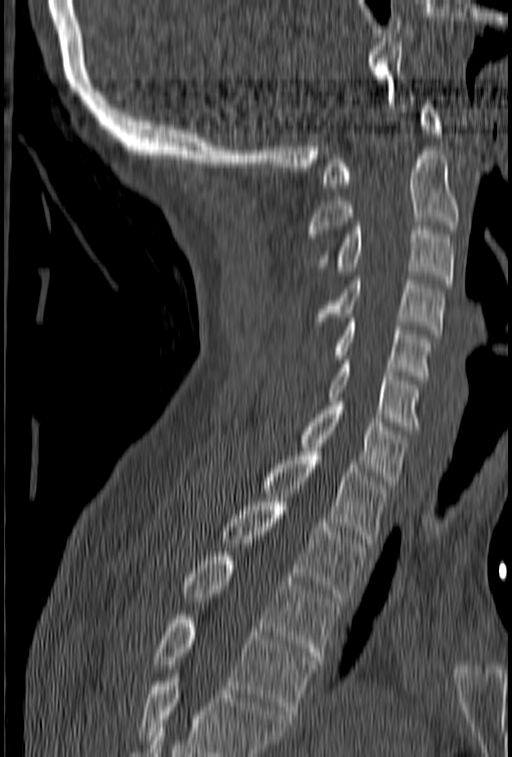 Spine computed tomography. sagittal view

No box is given to a vertebra that the bottom edge of the scan cuts off.
<vertebrae><v name="C1" x1="322" y1="105" x2="442" y2="187"/><v name="C2" x1="305" y1="151" x2="459" y2="237"/><v name="C3" x1="317" y1="226" x2="454" y2="283"/><v name="C4" x1="313" y1="276" x2="445" y2="334"/><v name="C5" x1="336" y1="314" x2="432" y2="380"/><v name="C6" x1="327" y1="360" x2="419" y2="430"/><v name="C7" x1="300" y1="397" x2="408" y2="488"/><v name="T1" x1="262" y1="452" x2="386" y2="543"/><v name="T2" x1="222" y1="498" x2="367" y2="597"/><v name="T3" x1="185" y1="552" x2="338" y2="660"/><v name="T4" x1="152" y1="615" x2="318" y2="714"/></vertebrae>